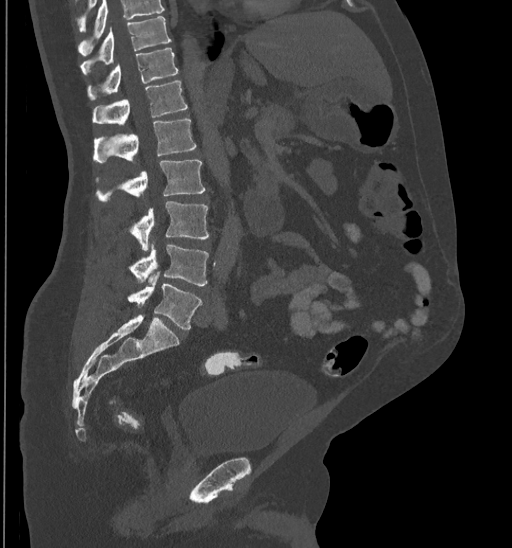
CT · sagittal view · image 435 mm wide · bone window

Each box given as x1,y1,x2,y2.
Vertebrae that run past the top of the scan are left unlabeled.
| vertebra | x1 | y1 | x2 | y2 |
|---|---|---|---|---|
| T10 | 79 | 16 | 171 | 73 |
| T11 | 87 | 48 | 178 | 100 |
| T12 | 92 | 81 | 187 | 125 |
| L1 | 93 | 119 | 195 | 163 |
| L2 | 96 | 159 | 205 | 202 |
| L3 | 129 | 201 | 208 | 251 |
| L4 | 129 | 243 | 208 | 285 |
| L5 | 127 | 272 | 201 | 330 |